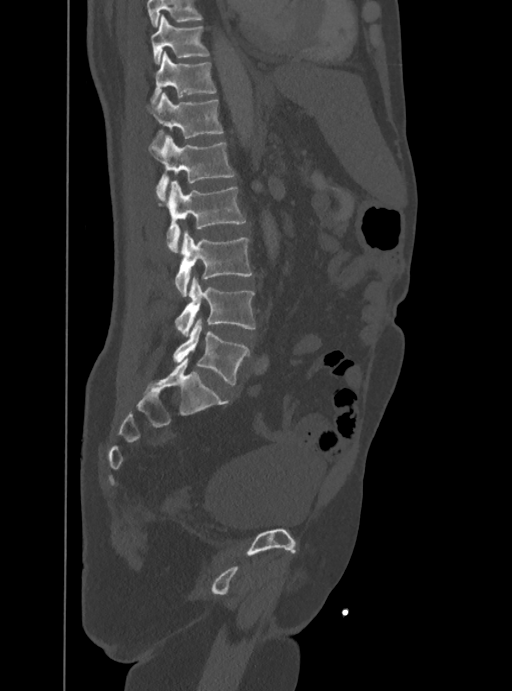 Spine computed tomography — sagittal view — image 388 mm wide

Each vertebra maps to its box as [x1, y1, x2, y2], the pixel coordinates of its top-left and bottom-right corners.
No box is given to a vertebra that the top edge of the scan cuts off.
{"vertebrae":{"L5":[173,318,248,384],"L4":[175,277,255,335],"L3":[175,230,252,297],"L2":[166,181,246,252],"L1":[149,134,234,200],"T12":[146,93,223,146],"T11":[152,51,215,104],"T10":[150,14,209,63]}}